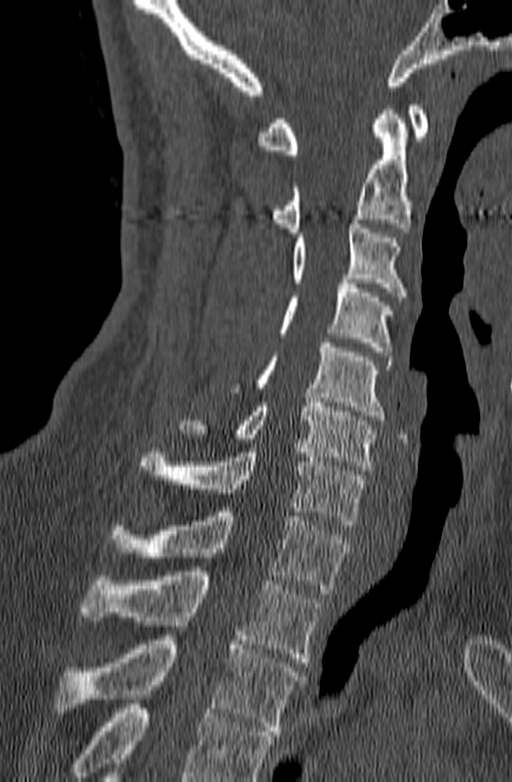
CT · the image spans 140 mm across · sagittal view

Each box is [x1, y1, x2, y2] in pixels: top-left corner, then bottom-right corner.
Vertebrae that run past the bottom of the scan are left unlabeled.
{"vertebrae":{"T3":[55,631,305,735],"T2":[81,571,322,662],"T1":[110,507,351,593],"C7":[138,448,366,529],"C6":[178,398,377,470],"C5":[229,343,392,420],"C4":[278,279,392,356],"C3":[292,219,406,301],"C2":[272,110,410,232],"C1":[257,105,428,154]}}